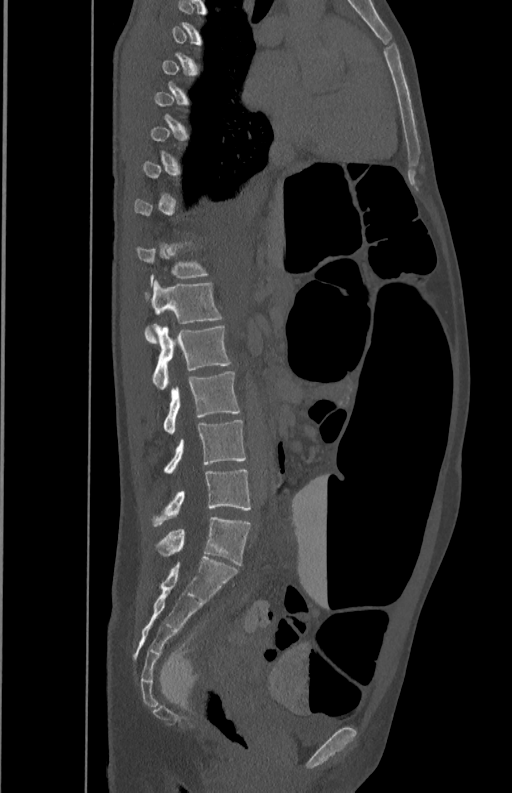
Computed tomography of the spine · sagittal view
A vertebra gets a box only on the slices from the first to the last where its cross-section is at least a third of its largest; on a slice outside that range it gets none.
<vertebrae><v name="L1" x1="145" y1="280" x2="221" y2="343"/><v name="L2" x1="152" y1="324" x2="230" y2="389"/><v name="L3" x1="164" y1="371" x2="240" y2="435"/><v name="L4" x1="164" y1="420" x2="246" y2="474"/><v name="L5" x1="153" y1="469" x2="250" y2="526"/></vertebrae>